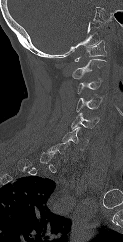 Spine CT. sagittal view. the image is 123 mm wide. bone window

Box edges are left/top/right/bottom in pixels. Each vertebra is boxed only on the slices from the first to the last where its cross-section reaches a third of its largest, so a slice outside that range leaves it unboxed. The labeled vertebrae in this slice are: C7 at left=48, top=142, right=72, bottom=161, C6 at left=62, top=127, right=88, bottom=150, C5 at left=71, top=112, right=99, bottom=129, C4 at left=76, top=94, right=102, bottom=112, C3 at left=76, top=78, right=102, bottom=94, C2 at left=71, top=59, right=106, bottom=79, C1 at left=74, top=40, right=106, bottom=61.